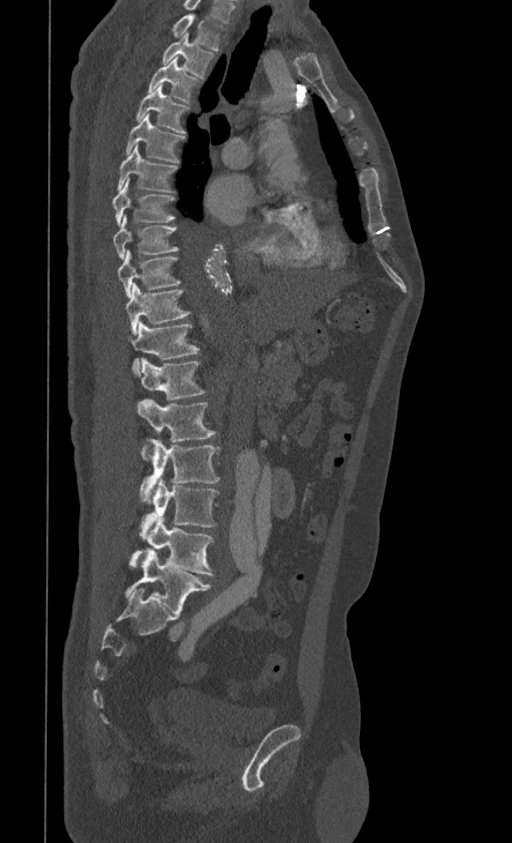 CT spine — sagittal view — W/L 1800/400 HU — 399 mm across the image — 512x843 px
In this scan, the topmost labeled vertebra is T1 and the lowest is L5.
<vertebrae><v name="T1" x1="172" y1="14" x2="225" y2="50"/><v name="T2" x1="163" y1="33" x2="214" y2="78"/><v name="T3" x1="147" y1="58" x2="200" y2="103"/><v name="T4" x1="136" y1="84" x2="189" y2="134"/><v name="T5" x1="126" y1="114" x2="185" y2="162"/><v name="T6" x1="118" y1="143" x2="177" y2="192"/><v name="T7" x1="113" y1="178" x2="175" y2="225"/><v name="T8" x1="113" y1="215" x2="179" y2="258"/><v name="T9" x1="117" y1="251" x2="181" y2="297"/><v name="T10" x1="126" y1="284" x2="190" y2="334"/><v name="T11" x1="131" y1="321" x2="199" y2="373"/><v name="T12" x1="141" y1="358" x2="205" y2="400"/><v name="L1" x1="137" y1="400" x2="216" y2="460"/><v name="L2" x1="140" y1="440" x2="220" y2="504"/><v name="L3" x1="140" y1="477" x2="218" y2="538"/><v name="L4" x1="129" y1="516" x2="213" y2="575"/><v name="L5" x1="125" y1="551" x2="211" y2="613"/></vertebrae>